Spine CT · sagittal view · W/L 1800/400 HU · 512x980 px
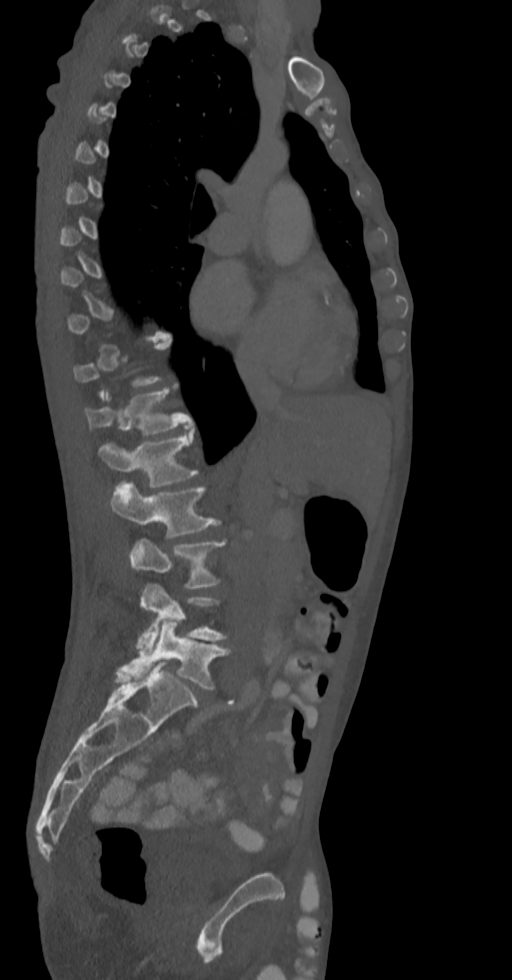

Box edges are left/top/right/bottom in pixels.
Not every vertebra on this slice has a box: a vertebra is boxed only from the first to the last slice where its cross-section is at least a third of its largest, and this slice is outside that range for at least one of them.
T12: left=85, top=389, right=192, bottom=435
L1: left=99, top=431, right=197, bottom=487
L2: left=110, top=482, right=220, bottom=537
L3: left=129, top=539, right=224, bottom=587
L4: left=137, top=584, right=226, bottom=654
L5: left=118, top=622, right=229, bottom=689